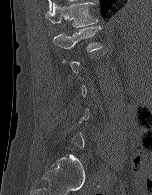 Computed tomography of the spine — sagittal view
Each row gives a vertebra's box as x1, y1, x2, y2 in pixels: top-left corner, then bottom-right corner.
Each vertebra is boxed only on the slices from the first to the last where its cross-section reaches a third of its largest, so a slice outside that range leaves it unboxed.
| vertebra | x1 | y1 | x2 | y2 |
|---|---|---|---|---|
| T12 | 45 | 2 | 97 | 27 |
| L1 | 53 | 26 | 102 | 52 |